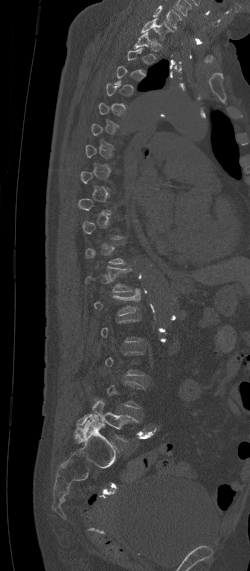
CT, spine. sagittal reformat. Bone window (WL 400, WW 1800). the image spans 250 mm across
Box edges are left/top/right/bottom in pixels. Not every vertebra on this slice has a box: a vertebra is boxed only from the first to the last slice where its cross-section is at least a third of its largest, and this slice is outside that range for at least one of them. Labels in this scan begin with C7 at the top and end with L5 at the bottom. Vertebrae labeled: C7 at left=141, top=18, right=174, bottom=40, T12 at left=84, top=265, right=133, bottom=292, L1 at left=94, top=288, right=141, bottom=315, L5 at left=74, top=400, right=139, bottom=441.